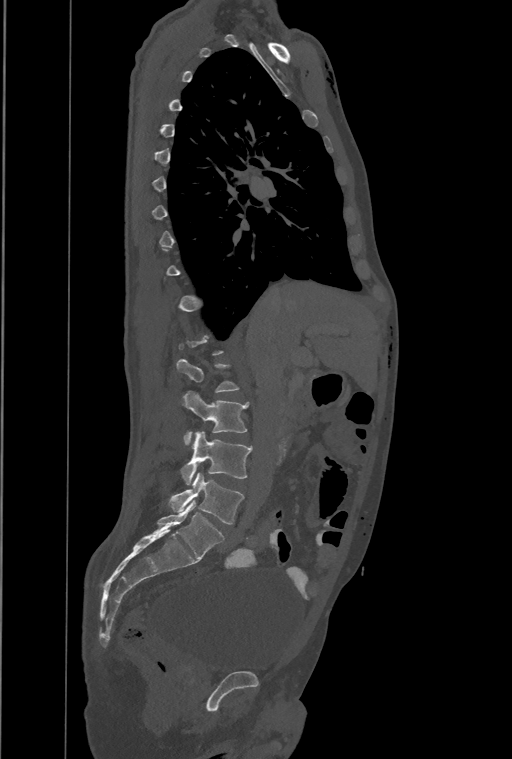 Spine CT. image width 461 mm. sagittal view. Each box given as x1,y1,x2,y2. Each vertebra is boxed only on the slices from the first to the last where its cross-section reaches a third of its largest, so a slice outside that range leaves it unboxed. This scan's labels start at T1 at the top and end at L4 at the bottom. 3 vertebrae labeled — L2 at x1=183, y1=391, x2=248, y2=445; L3 at x1=181, y1=431, x2=252, y2=485; L4 at x1=170, y1=472, x2=244, y2=524.